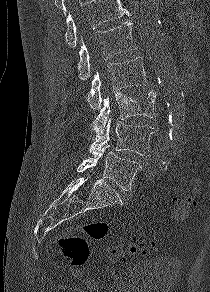 Spine CT; sagittal view; 210x292 px

Vertebrae that run past the top of the scan are left unlabeled.
<vertebrae><v name="L5" x1="77" y1="145" x2="141" y2="190"/><v name="L4" x1="89" y1="118" x2="153" y2="156"/><v name="L3" x1="90" y1="90" x2="156" y2="135"/><v name="L2" x1="87" y1="57" x2="147" y2="109"/><v name="L1" x1="77" y1="22" x2="136" y2="79"/></vertebrae>